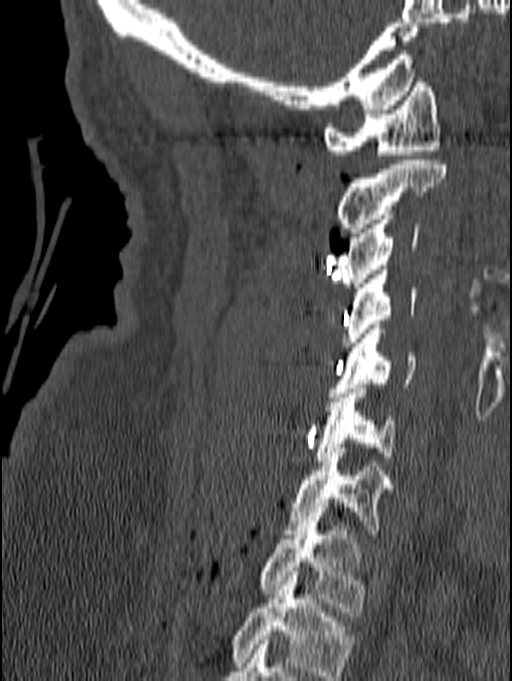

Spine computed tomography; sagittal reformat; bone window
This scan's labels start at C1 at the top and end at T1 at the bottom.
<vertebrae><v name="C1" x1="323" y1="78" x2="440" y2="154"/><v name="C2" x1="335" y1="160" x2="446" y2="237"/><v name="C3" x1="338" y1="210" x2="418" y2="292"/><v name="C4" x1="342" y1="265" x2="416" y2="346"/><v name="C5" x1="330" y1="325" x2="415" y2="397"/><v name="C6" x1="314" y1="384" x2="395" y2="461"/><v name="C7" x1="284" y1="448" x2="395" y2="538"/><v name="T1" x1="257" y1="517" x2="366" y2="616"/></vertebrae>